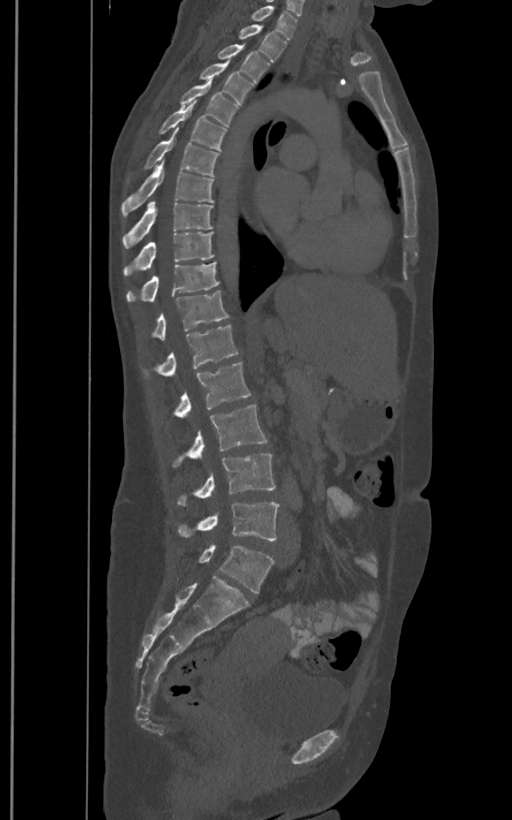
Computed tomography of the spine; sagittal view; bone window
Boxes: x1:y1:x2:y2 in pixels. These labels give the spine a sixth lumbar vertebra, L6, below L5. Vertebrae labeled: T1 at 249:5:297:39, T2 at 238:24:287:61, T3 at 216:45:269:84, T4 at 198:61:254:105, T5 at 179:79:238:127, T6 at 155:100:227:151, T7 at 127:128:219:183, T8 at 121:161:214:216, T9 at 123:200:213:249, T10 at 124:232:214:275, T11 at 127:262:219:302, T12 at 152:290:229:339, L1 at 157:325:238:377, L2 at 175:362:251:418, L3 at 173:404:268:466, L4 at 178:453:275:505, L5 at 179:501:279:540, L6 at 198:545:274:592.